Computed tomography of the spine. the image spans 165 mm across. Sagittal slice 309/512. Bone window (WL 400, WW 1800)
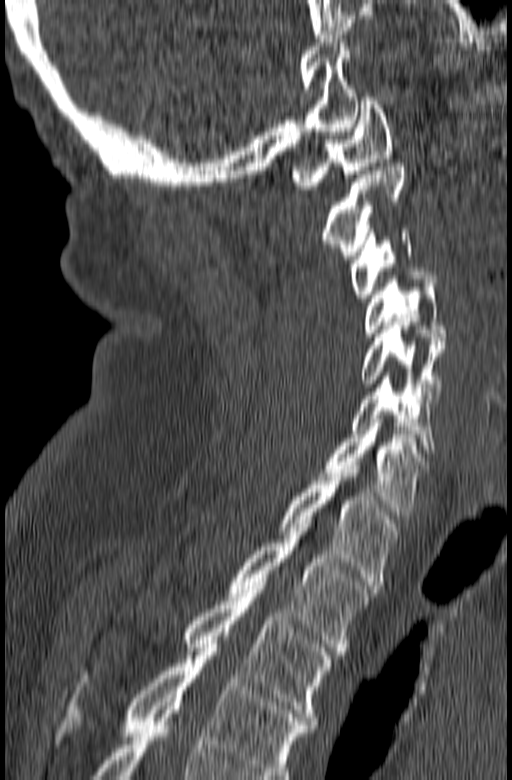
Each box given as x1,y1,x2,y2.
This scan's labels start at C1 at the top and end at T3 at the bottom.
| vertebra | x1 | y1 | x2 | y2 |
|---|---|---|---|---|
| T3 | 82 | 586 | 332 | 724 |
| T2 | 228 | 524 | 372 | 651 |
| T1 | 279 | 465 | 399 | 585 |
| C7 | 314 | 423 | 428 | 515 |
| C6 | 351 | 372 | 435 | 453 |
| C5 | 361 | 318 | 444 | 399 |
| C4 | 364 | 272 | 446 | 336 |
| C3 | 352 | 229 | 419 | 298 |
| C2 | 324 | 163 | 407 | 259 |
| C1 | 291 | 97 | 391 | 189 |